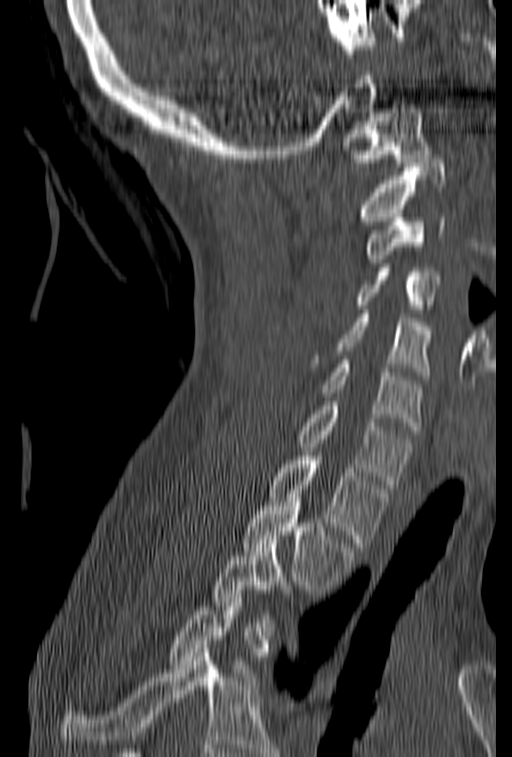 Spine computed tomography. sagittal view. the image spans 153 mm across. bone-window reconstruction
Each box is [x1, y1, x2, y2] in pixels: top-left corner, then bottom-right corner.
Not every vertebra on this slice has a box: a vertebra is boxed only from the first to the last slice where its cross-section is at least a third of its largest, and this slice is outside that range for at least one of them.
{"vertebrae":{"C1":[341,105,432,166],"C2":[359,159,445,229],"C3":[364,209,445,263],"C4":[354,264,439,313],"C5":[307,310,432,380],"C6":[322,360,422,430],"C7":[296,397,412,488],"T1":[268,452,392,547],"T2":[242,498,355,593],"T3":[211,535,288,635]}}